CT; sagittal reformat; W/L 1800/400 HU; 512x762 px
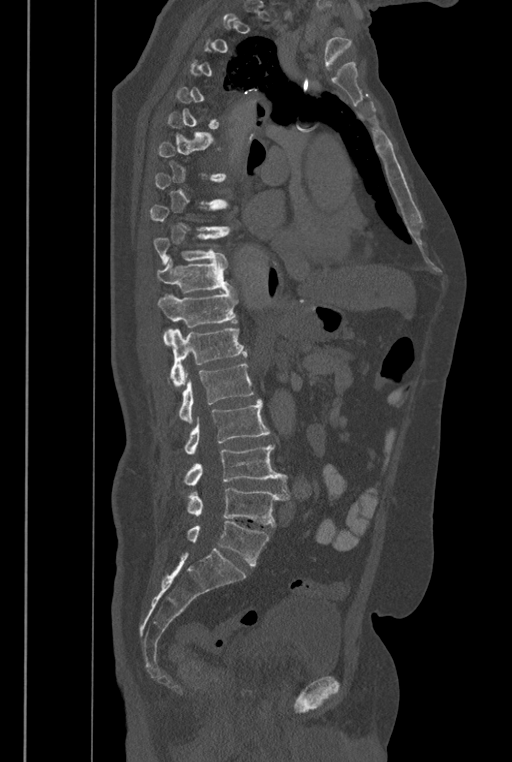 Each box given as x1,y1,x2,y2.
Each vertebra is boxed only on the slices from the first to the last where its cross-section reaches a third of its largest, so a slice outside that range leaves it unboxed.
The labels name a sixth lumbar vertebra for this spine: L6, after L5.
| vertebra | x1 | y1 | x2 | y2 |
|---|---|---|---|---|
| L6 | 187 | 521 | 269 | 565 |
| L5 | 187 | 488 | 289 | 526 |
| L4 | 185 | 445 | 290 | 493 |
| L3 | 185 | 400 | 270 | 454 |
| L2 | 168 | 363 | 254 | 423 |
| L1 | 168 | 328 | 247 | 386 |
| T12 | 157 | 291 | 237 | 344 |
| T11 | 157 | 258 | 233 | 292 |
| T10 | 153 | 232 | 226 | 265 |